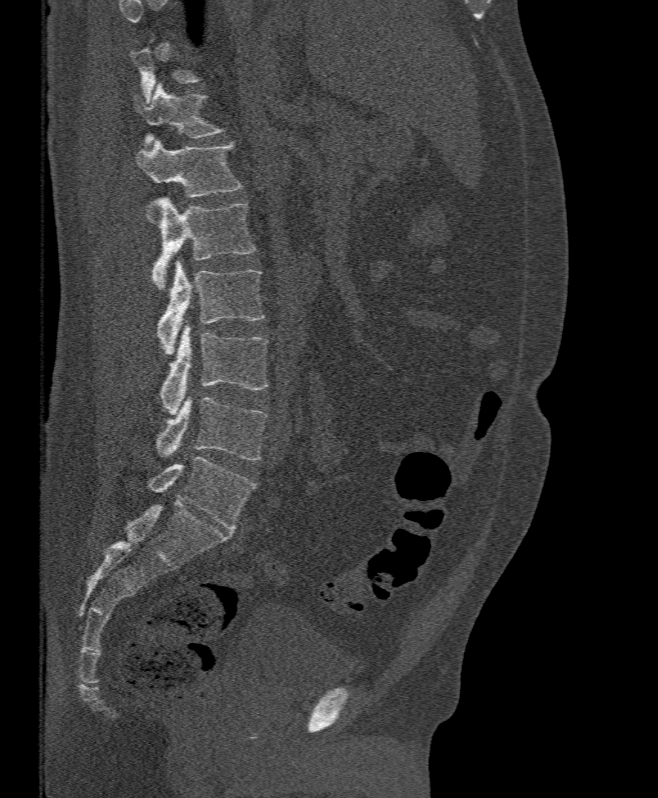
CT, spine — sagittal view — W/L 1800/400 HU
Box edges are left/top/right/bottom in pixels.
Each vertebra is boxed only on the slices from the first to the last where its cross-section reaches a third of its largest, so a slice outside that range leaves it unboxed.
Vertebra bounding boxes:
- L5: left=157, top=393, right=268, bottom=459
- L4: left=159, top=324, right=269, bottom=416
- L3: left=157, top=260, right=264, bottom=354
- L2: left=152, top=198, right=255, bottom=289
- L1: left=136, top=140, right=241, bottom=197
- T12: left=134, top=83, right=224, bottom=143